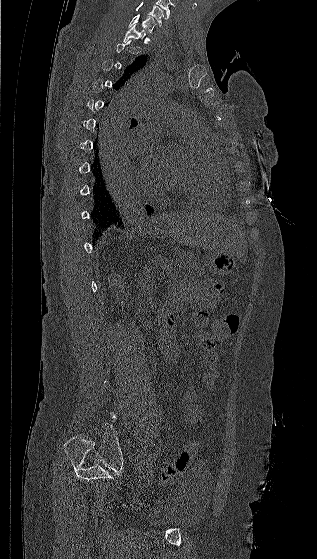 Computed tomography of the spine · sagittal view
Each vertebra is boxed only on the slices from the first to the last where its cross-section reaches a third of its largest, so a slice outside that range leaves it unboxed.
Labels in this scan begin with C7 at the top and end with L5 at the bottom.
<vertebrae><v name="C7" x1="128" y1="14" x2="156" y2="33"/><v name="T1" x1="123" y1="25" x2="145" y2="42"/></vertebrae>